Computed tomography of the spine · sagittal plane, index 148 · bone window
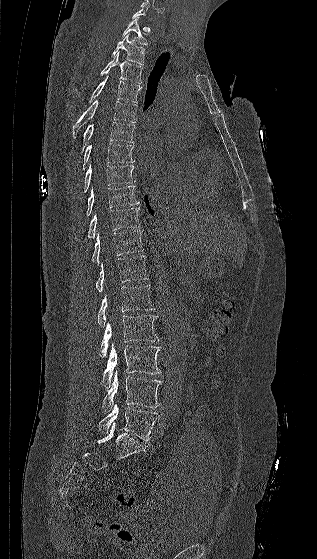
Boxes are given in columns x1, y1, x2, y2, the pixel coordinates of their top-left and bottom-right corners.
Each vertebra is boxed only on the slices from the first to the last where its cross-section reaches a third of its largest, so a slice outside that range leaves it unboxed.
| vertebra | x1 | y1 | x2 | y2 |
|---|---|---|---|---|
| T1 | 122 | 17 | 147 | 45 |
| T2 | 111 | 34 | 145 | 64 |
| T3 | 100 | 52 | 142 | 84 |
| T4 | 88 | 75 | 141 | 103 |
| T5 | 72 | 100 | 136 | 138 |
| T6 | 80 | 122 | 134 | 153 |
| T7 | 82 | 143 | 134 | 170 |
| T8 | 83 | 163 | 135 | 192 |
| T9 | 74 | 185 | 139 | 221 |
| T10 | 88 | 208 | 140 | 238 |
| T11 | 91 | 231 | 143 | 264 |
| T12 | 95 | 255 | 148 | 292 |
| L1 | 97 | 285 | 155 | 327 |
| L2 | 99 | 315 | 159 | 357 |
| L3 | 101 | 343 | 161 | 388 |
| L4 | 102 | 370 | 162 | 413 |
| L5 | 98 | 403 | 160 | 441 |